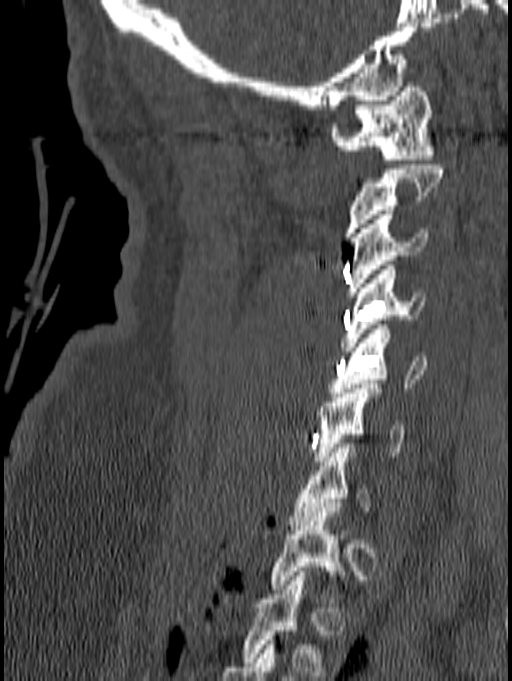 CT spine · sagittal view · W/L 1800/400 HU
Each vertebra maps to its box as [x1, y1, x2, y2], the pixel coordinates of its top-left and bottom-right corners.
The highest labeled vertebra in this scan is C1; the lowest is T1.
{"vertebrae":{"C1":[330,82,435,164],"C2":[344,165,443,237],"C3":[347,210,428,296],"C4":[341,265,425,351],"C5":[329,325,428,397],"C6":[315,384,403,465],"C7":[290,443,371,525],"T1":[269,507,343,598]}}